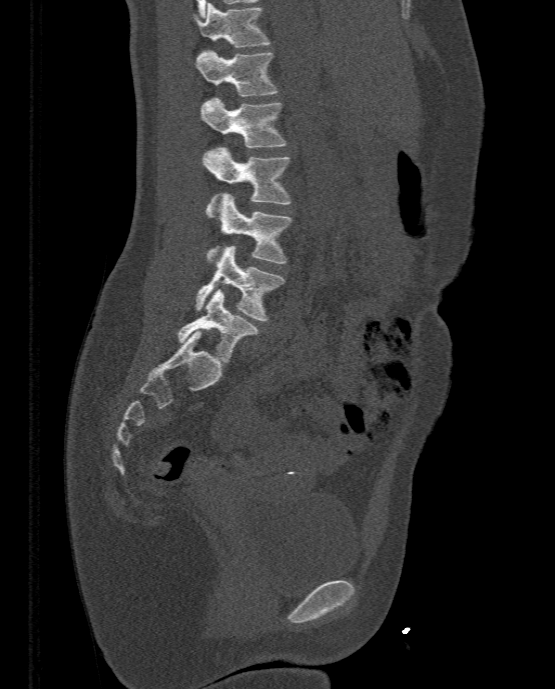 CT; sagittal view; W/L 1800/400 HU; 555x689 px
Box edges are left/top/right/bottom in pixels. 7 vertebrae labeled — T11 at left=192, top=3, right=270, bottom=47; T12 at left=195, top=50, right=276, bottom=96; L1 at left=199, top=97, right=285, bottom=147; L2 at left=202, top=147, right=291, bottom=204; L3 at left=206, top=193, right=292, bottom=263; L4 at left=195, top=246, right=284, bottom=320; L5 at left=178, top=289, right=259, bottom=362.